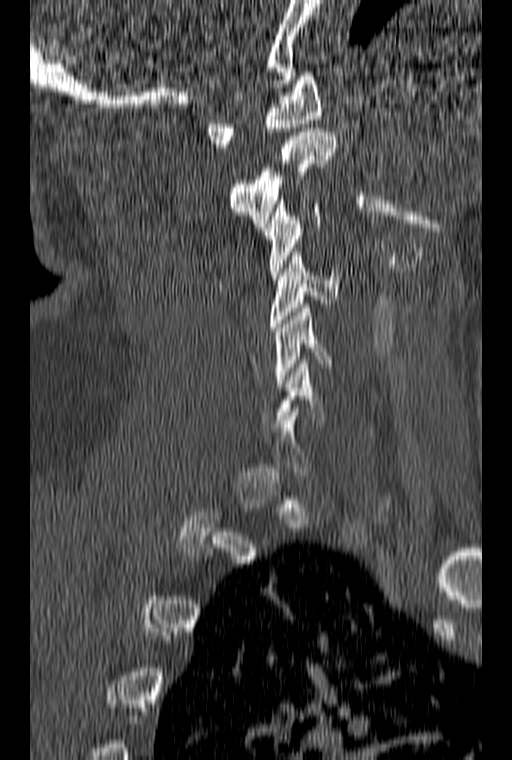
Spine CT · sagittal view · bone-window reconstruction · 512x760 px

Boxes are (x1, y1, x2, y2) in pixels.
A vertebra gets a box only on the slices from the first to the last where its cross-section is at least a third of its largest; on a slice outside that range it gets none.
C5: (275, 304, 332, 387)
C4: (270, 252, 339, 331)
C3: (263, 196, 320, 279)
C2: (228, 128, 337, 227)
C1: (205, 72, 321, 147)